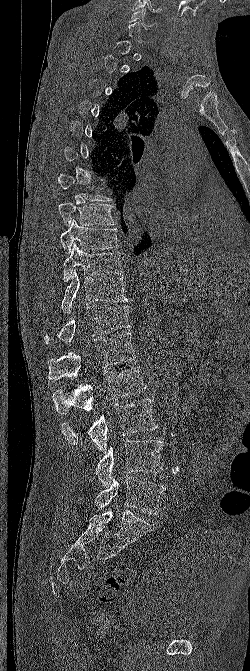 Spine computed tomography; sagittal reformat; bone-window reconstruction; 250x671 px; image 250 mm wide

A vertebra is boxed only from the first to the last slice where its cross-section is at least a third of its largest; slices outside that range leave it without a box.
<vertebrae><v name="L5" x1="95" y1="477" x2="165" y2="514"/><v name="L4" x1="95" y1="440" x2="163" y2="486"/><v name="L3" x1="61" y1="399" x2="158" y2="452"/><v name="L2" x1="52" y1="366" x2="146" y2="414"/><v name="L1" x1="47" y1="333" x2="136" y2="380"/><v name="T12" x1="44" y1="305" x2="131" y2="344"/><v name="T11" x1="60" y1="269" x2="127" y2="313"/><v name="T10" x1="63" y1="242" x2="123" y2="281"/><v name="T9" x1="60" y1="219" x2="121" y2="255"/><v name="T8" x1="58" y1="202" x2="116" y2="226"/><v name="C6" x1="129" y1="8" x2="157" y2="30"/></vertebrae>